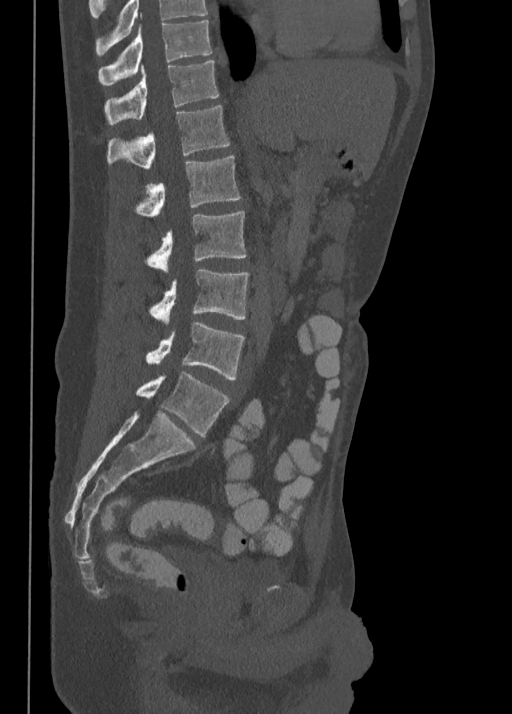 Spine computed tomography. sagittal view. bone-window reconstruction. 512x714 px
<vertebrae><v name="T10" x1="98" y1="12" x2="212" y2="85"/><v name="T11" x1="104" y1="59" x2="218" y2="124"/><v name="T12" x1="107" y1="105" x2="230" y2="169"/><v name="L1" x1="134" y1="155" x2="240" y2="216"/><v name="L2" x1="146" y1="211" x2="246" y2="273"/><v name="L3" x1="149" y1="269" x2="249" y2="323"/><v name="L4" x1="146" y1="321" x2="245" y2="379"/><v name="L5" x1="136" y1="371" x2="230" y2="436"/></vertebrae>